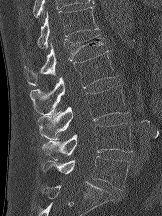 Spine computed tomography. sagittal view

Each box given as x1,y1,x2,y2.
Vertebra bounding boxes:
- T12: x1=37, y1=6, x2=98, y2=48
- L1: x1=24, y1=34, x2=106, y2=85
- L2: x1=30, y1=50, x2=118, y2=115
- L3: x1=38, y1=85, x2=128, y2=140
- L4: x1=42, y1=123, x2=132, y2=160
- L5: x1=42, y1=155, x2=129, y2=190